Spine computed tomography. sagittal plane, index 116. bone window. 232x233 px. 5 vertebrae labeled in this scan
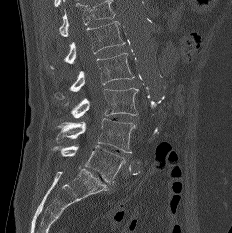

Box edges are left/top/right/bottom in pixels. Where the top of the scan cuts through a vertebra, that vertebra gets no label or box. Vertebrae labeled: L5 at left=52, top=145, right=125, bottom=184, L4 at left=56, top=118, right=135, bottom=153, L3 at left=64, top=88, right=139, bottom=117, L2 at left=54, top=52, right=134, bottom=99, L1 at left=49, top=21, right=125, bottom=68.